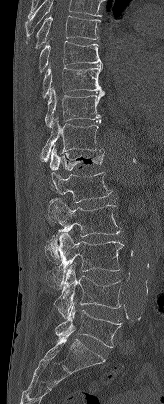
CT spine · sagittal view · W/L 1800/400 HU
Box edges are left/top/right/bottom in pixels.
The highest labeled vertebra in this scan is T7; the lowest is L5.
| vertebra | x1 | y1 | x2 | y2 |
|---|---|---|---|---|
| T7 | 35 | 15 | 100 | 48 |
| T8 | 38 | 41 | 102 | 73 |
| T9 | 42 | 65 | 104 | 97 |
| T10 | 44 | 87 | 104 | 127 |
| T11 | 40 | 117 | 103 | 161 |
| T12 | 49 | 145 | 104 | 173 |
| L1 | 50 | 172 | 111 | 203 |
| L2 | 45 | 199 | 121 | 262 |
| L3 | 53 | 231 | 123 | 289 |
| L4 | 54 | 265 | 120 | 318 |
| L5 | 55 | 301 | 122 | 348 |